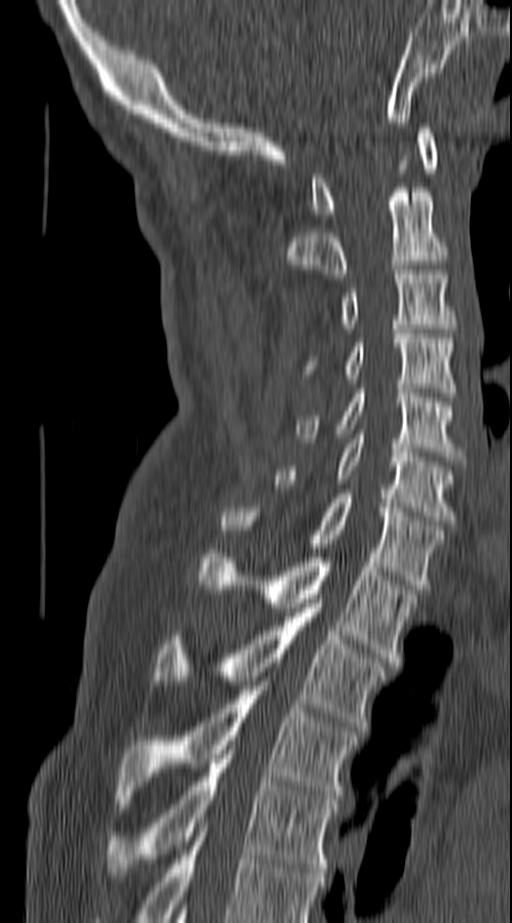
CT spine. sagittal reformat. bone window
Each vertebra maps to its box as [x1, y1, x2, y2], the pixel coordinates of its top-left and bottom-right corners.
The highest labeled vertebra in this scan is C1; the lowest is T4.
{"vertebrae":{"C1":[312,128,436,218],"C2":[287,187,447,278],"C3":[341,270,454,328],"C4":[309,329,454,397],"C5":[296,389,461,456],"C6":[276,434,454,525],"C7":[221,494,443,589],"T1":[199,549,414,662],"T2":[155,603,384,730],"T3":[118,681,355,804],"T4":[107,750,337,877]}}